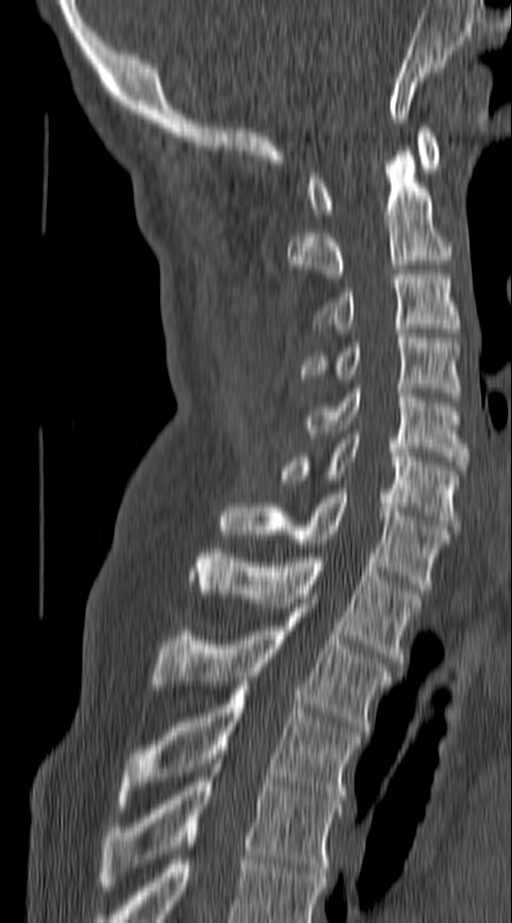 Computed tomography of the spine. 140 mm wide. sagittal view. W/L 1800/400 HU. 512x923 px
Each box given as x1,y1,x2,y2.
T4: x1=100, y1=763, x2=340, y2=890
T3: x1=118, y1=686, x2=359, y2=808
T2: x1=151, y1=603, x2=392, y2=730
T1: x1=192, y1=549, x2=421, y2=666
C7: x1=221, y1=494, x2=450, y2=589
C6: x1=279, y1=434, x2=457, y2=529
C5: x1=301, y1=389, x2=468, y2=470
C4: x1=301, y1=334, x2=461, y2=397
C3: x1=316, y1=274, x2=457, y2=328
C2: x1=287, y1=151, x2=450, y2=278
C1: x1=309, y1=128, x2=439, y2=218